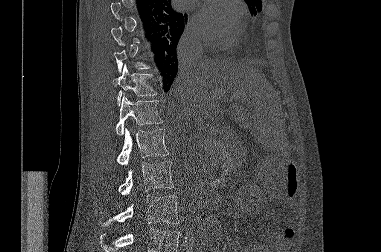 Spine CT. image 381 mm wide. sagittal view
Each vertebra maps to its box as [x1, y1, x2, y2], the pixel coordinates of its top-left and bottom-right corners.
A vertebra is boxed only from the first to the last slice where its cross-section is at least a third of its largest; slices outside that range leave it without a box.
Vertebrae that run past the bottom of the scan are left unlabeled.
{"vertebrae":{"L3":[100,195,179,226],"L2":[118,161,174,195],"L1":[117,128,168,165],"T12":[115,94,163,134],"T11":[113,64,156,105]}}